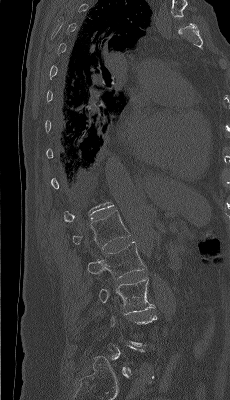
Spine CT · sagittal view

Each vertebra maps to its box as [x1, y1, x2, y2], the pixel coordinates of its top-left and bottom-right corners.
Each vertebra is boxed only on the slices from the first to the last where its cross-section reaches a third of its largest, so a slice outside that range leaves it unboxed.
{"vertebrae":{"L3":[99,278,154,312],"L2":[87,241,146,279],"L1":[73,210,130,249]}}